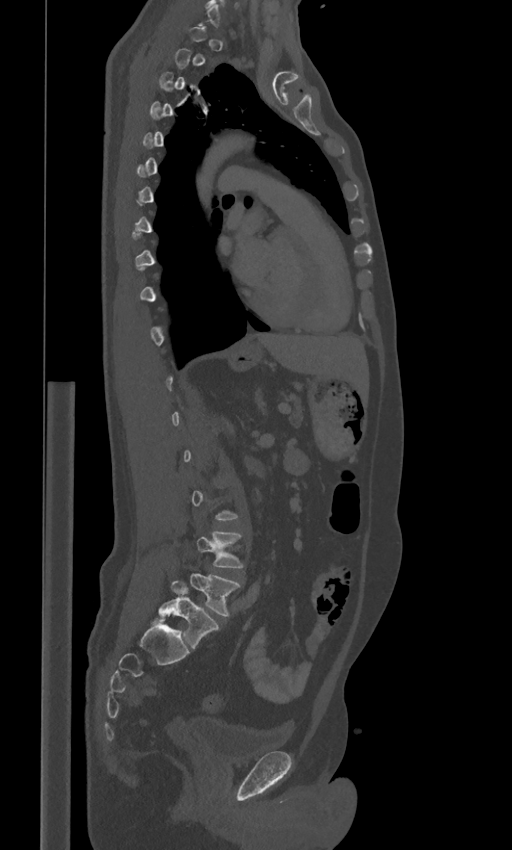
CT spine — sagittal view — Bone window (WL 400, WW 1800) — 512x850 px
Columns x1, y1, x2, y2 give each box's top-left and bottom-right pixels.
A vertebra gets a box only on the slices from the first to the last where its cross-section is at least a third of its largest; on a slice outside that range it gets none.
The labels name a sixth lumbar vertebra for this spine: L6, after L5.
| vertebra | x1 | y1 | x2 | y2 |
|---|---|---|---|---|
| L4 | 196 | 530 | 244 | 568 |
| L5 | 191 | 572 | 240 | 616 |
| L6 | 159 | 580 | 219 | 649 |